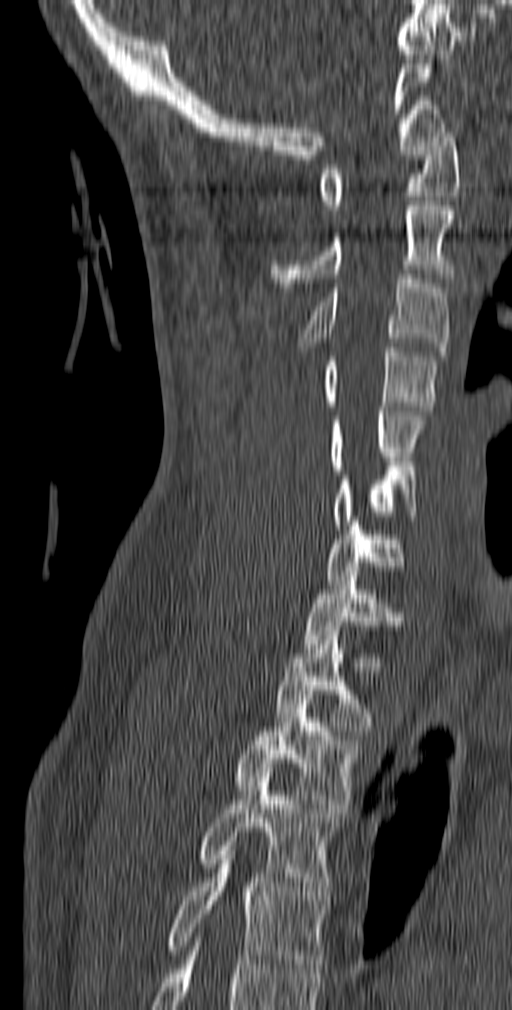
Computed tomography of the spine · sagittal view · W/L 1800/400 HU
Each box is [x1, y1, x2, y2] in pixels: top-left corner, then bottom-right corner.
{"vertebrae":{"C1":[319,128,459,214],"C2":[270,201,454,287],"C3":[300,270,450,356],"C4":[323,343,439,415],"C5":[329,407,425,474],"C6":[333,466,418,529],"C7":[326,521,404,584],"T1":[303,576,403,653],"T2":[275,631,373,730],"T3":[235,695,360,813],"T4":[199,773,339,900],"T5":[166,850,327,973]}}